CT spine; sagittal reformat; bone-window reconstruction; 512x1010 px; 140 mm wide
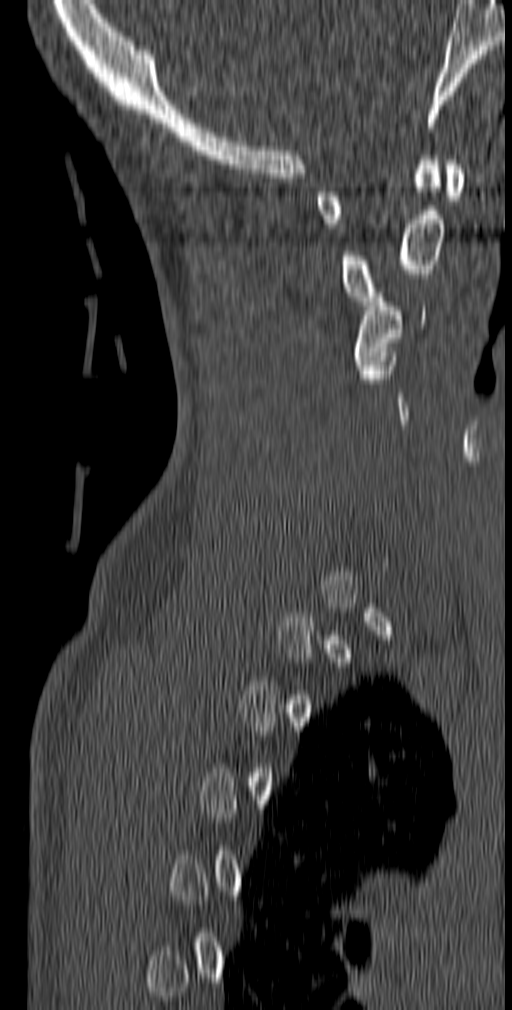 In the table, x1 and y1 are a box's top-left corner and x2 and y2 its bottom-right corner, in pixels.
A vertebra is boxed only from the first to the last slice where its cross-section is at least a third of its largest; slices outside that range leave it without a box.
| vertebra | x1 | y1 | x2 | y2 |
|---|---|---|---|---|
| C1 | 316 | 160 | 465 | 228 |
| C2 | 338 | 155 | 445 | 305 |
| C3 | 354 | 293 | 425 | 369 |